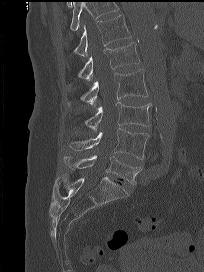
CT; sagittal view

No box is given to a vertebra that the top edge of the scan cuts off.
<vertebrae><v name="T12" x1="73" y1="15" x2="131" y2="56"/><v name="L1" x1="77" y1="42" x2="139" y2="81"/><v name="L2" x1="63" y1="69" x2="148" y2="107"/><v name="L3" x1="85" y1="102" x2="151" y2="131"/><v name="L4" x1="70" y1="128" x2="149" y2="159"/><v name="L5" x1="63" y1="155" x2="141" y2="185"/></vertebrae>